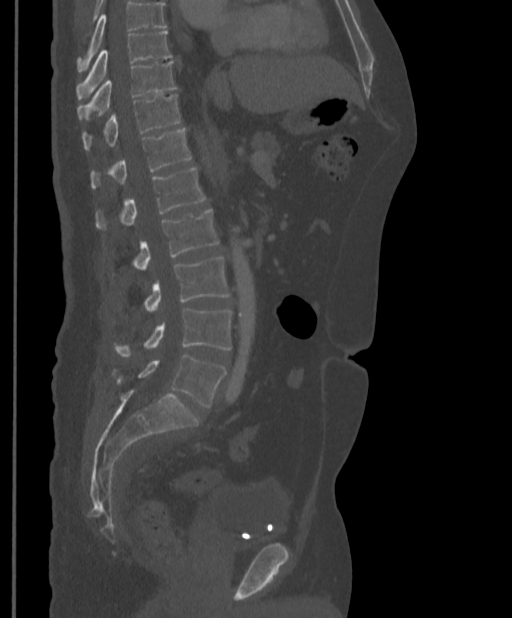
CT spine · sagittal reformat · 397 mm wide · bone-window reconstruction

Bounding boxes as [x1, y1, x2, y2] in pixel coordinates.
No box is given to a vertebra that the top edge of the scan cuts off.
Vertebra bounding boxes:
- L5: [117, 355, 226, 407]
- L4: [115, 308, 232, 356]
- L3: [144, 257, 230, 311]
- L2: [133, 209, 219, 270]
- L1: [95, 168, 205, 229]
- T12: [90, 128, 191, 189]
- T11: [82, 94, 181, 150]
- T10: [77, 61, 177, 120]
- T9: [76, 31, 172, 98]